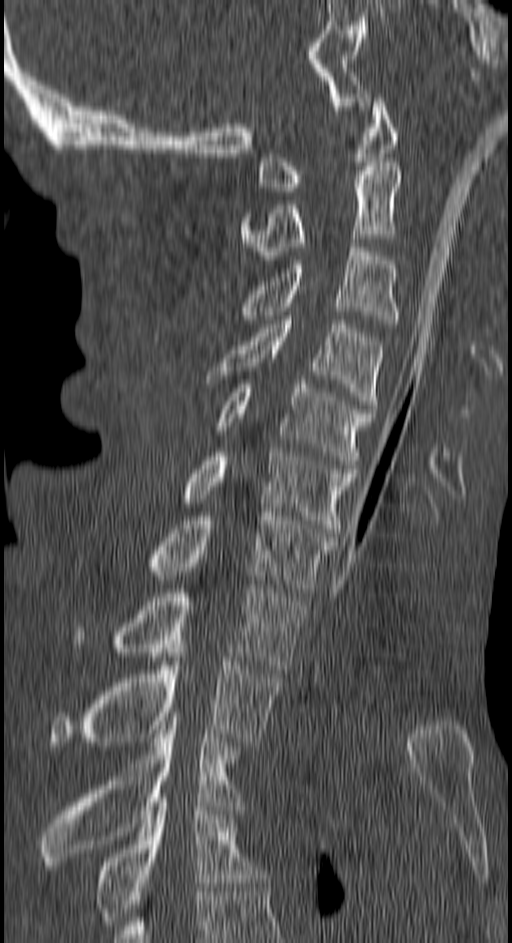

Spine CT — sagittal reformat — Bone window (WL 400, WW 1800) — 512x943 px. In the table, x1 and y1 are a box's top-left corner and x2 and y2 its bottom-right corner, in pixels.
| vertebra | x1 | y1 | x2 | y2 |
|---|---|---|---|---|
| C1 | 257 | 98 | 396 | 191 |
| C2 | 240 | 166 | 400 | 264 |
| C3 | 237 | 247 | 399 | 323 |
| C4 | 206 | 316 | 383 | 413 |
| C5 | 216 | 380 | 374 | 468 |
| C6 | 182 | 452 | 355 | 532 |
| C7 | 145 | 512 | 335 | 592 |
| T1 | 73 | 585 | 305 | 673 |
| T2 | 49 | 644 | 280 | 746 |
| T3 | 39 | 721 | 243 | 869 |
| T4 | 93 | 798 | 263 | 925 |